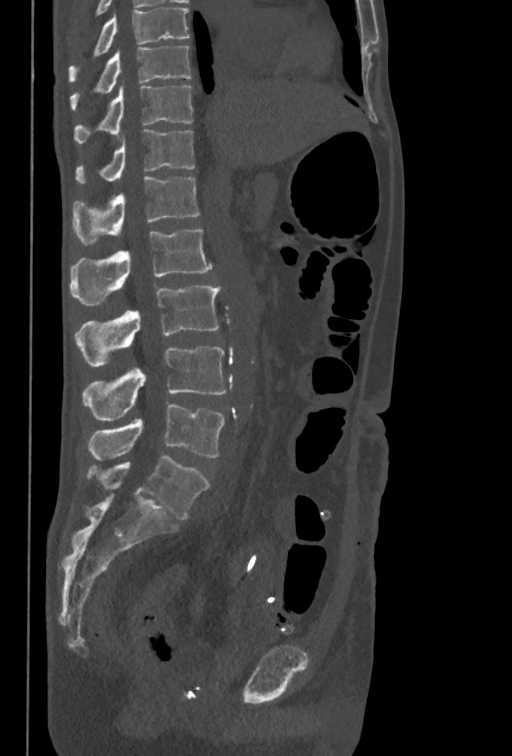 Spine CT; sagittal reformat; W/L 1800/400 HU; the image is 350 mm wide

Boxes: x1 y1 x2 y2 (pixel coords, space-separated). Labels in this scan begin with T10 at the top and end with L5 at the bottom. 8 vertebrae labeled — T10 at 70 46 190 110; T11 at 74 82 192 144; T12 at 75 129 195 183; L1 at 73 176 199 244; L2 at 70 229 212 306; L3 at 74 284 221 366; L4 at 83 346 227 420; L5 at 88 404 224 460.